CT, spine; Sagittal slice 235/512; Bone window (WL 400, WW 1800); scan covers 8 annotated vertebrae
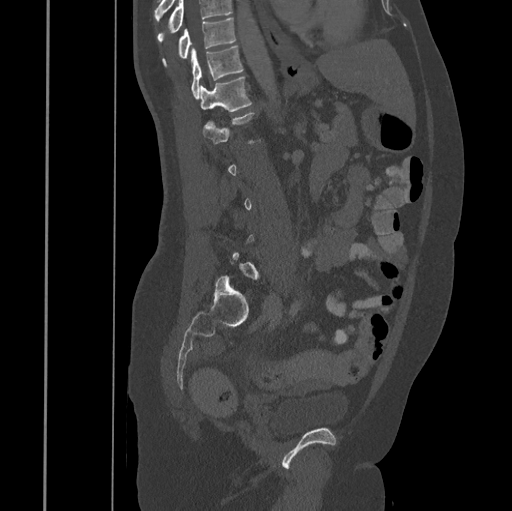
In the table, x1 and y1 are a box's top-left corner and x2 and y2 its bottom-right corner, in pixels.
Each vertebra is boxed only on the slices from the first to the last where its cross-section reaches a third of its largest, so a slice outside that range leaves it unboxed.
Vertebrae that run past the top of the scan are left unlabeled.
| vertebra | x1 | y1 | x2 | y2 |
|---|---|---|---|---|
| T10 | 162 | 17 | 236 | 65 |
| T11 | 191 | 46 | 243 | 98 |
| T12 | 199 | 77 | 251 | 112 |